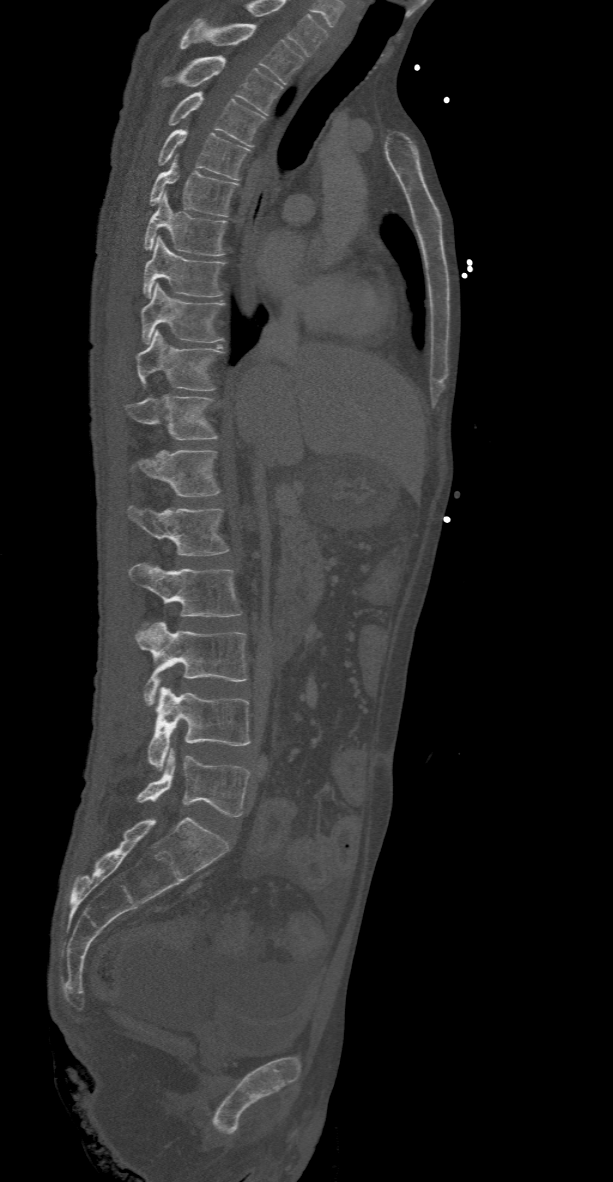 CT — sagittal view — 368 mm image width

Labels in this scan begin with T2 at the top and end with L5 at the bottom.
<vertebrae><v name="T2" x1="180" y1="17" x2="303" y2="83"/><v name="T3" x1="162" y1="56" x2="282" y2="113"/><v name="T4" x1="168" y1="91" x2="265" y2="146"/><v name="T5" x1="158" y1="127" x2="248" y2="180"/><v name="T6" x1="150" y1="154" x2="237" y2="216"/><v name="T7" x1="143" y1="192" x2="225" y2="256"/><v name="T8" x1="143" y1="236" x2="225" y2="299"/><v name="T9" x1="140" y1="284" x2="224" y2="343"/><v name="T10" x1="134" y1="331" x2="222" y2="390"/><v name="T11" x1="125" y1="395" x2="217" y2="440"/><v name="T12" x1="137" y1="450" x2="218" y2="496"/><v name="L1" x1="128" y1="506" x2="229" y2="555"/><v name="L2" x1="128" y1="562" x2="242" y2="616"/><v name="L3" x1="134" y1="621" x2="247" y2="705"/><v name="L4" x1="149" y1="687" x2="251" y2="770"/><v name="L5" x1="137" y1="749" x2="251" y2="816"/></vertebrae>